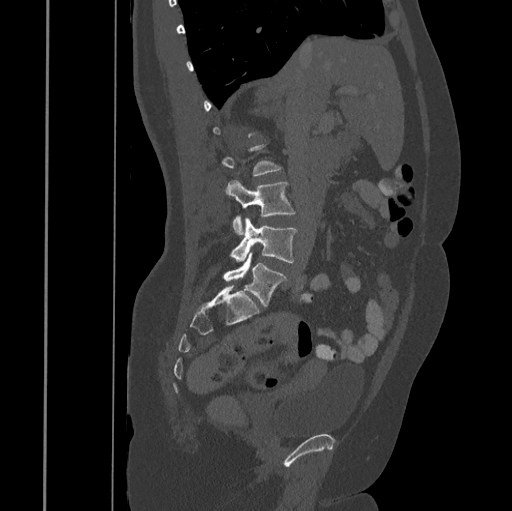 Spine computed tomography; sagittal view; W/L 1800/400 HU
Box values are [left, top, right, bottom] in pixels.
Each vertebra is boxed only on the slices from the first to the last where its cross-section reaches a third of its largest, so a slice outside that range leaves it unboxed.
{"vertebrae":{"L3":[225,180,296,235],"L4":[230,218,297,262],"L5":[223,253,288,306]}}